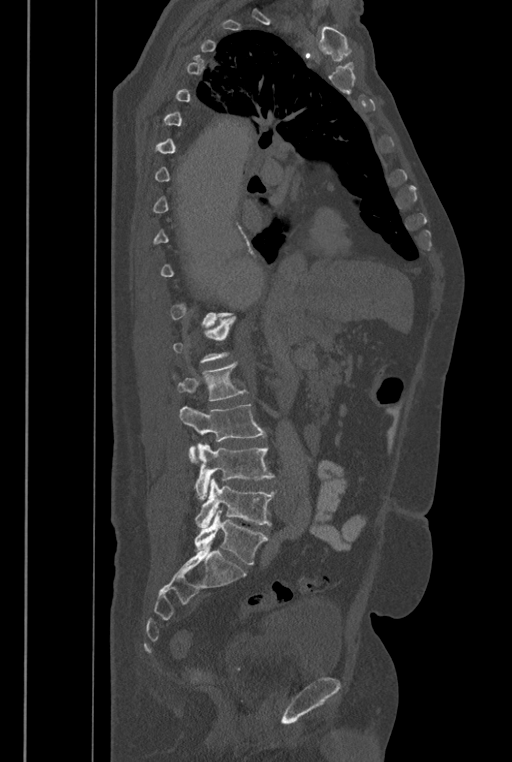
Spine CT. sagittal view. Bone window (WL 400, WW 1800). 512x762 px
A vertebra gets a box only on the slices from the first to the last where its cross-section is at least a third of its largest; on a slice outside that range it gets none.
These labels give the spine a sixth lumbar vertebra, L6, below L5.
<vertebrae><v name="L2" x1="173" y1="362" x2="248" y2="401"/><v name="L3" x1="179" y1="404" x2="265" y2="463"/><v name="L4" x1="194" y1="443" x2="274" y2="500"/><v name="L5" x1="194" y1="478" x2="276" y2="527"/><v name="L6" x1="194" y1="510" x2="268" y2="564"/></vertebrae>